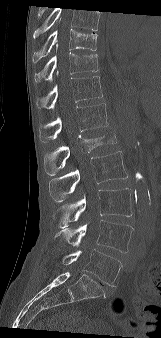
Spine CT — sagittal view
Boxes: x1:y1:x2:y2 in pixels.
No box is given to a vertebra that the top edge of the scan cuts off.
T9: 33:28:97:62
T10: 35:44:98:82
T11: 36:71:102:109
T12: 39:103:107:142
L1: 44:128:116:175
L2: 49:151:127:202
L3: 53:188:132:228
L4: 54:220:133:252
L5: 61:249:122:286